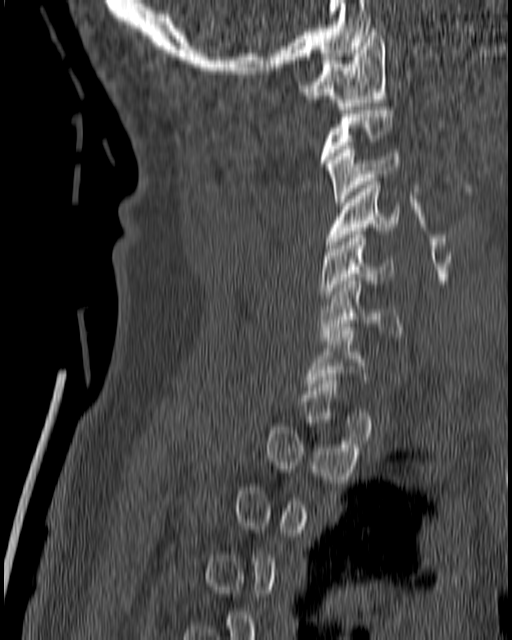 Spine computed tomography; sagittal view; Bone window (WL 400, WW 1800)

Coordinates as <box>x1,y1,x2,y2</box>.
Each vertebra is boxed only on the slices from the first to the last where its cross-section reaches a third of its largest, so a slice outside that range leaves it unboxed.
Vertebra bounding boxes:
- C7: <box>305,324,367,390</box>
- C6: <box>319,277,402,340</box>
- C5: <box>319,235,393,301</box>
- C4: <box>325,178,400,248</box>
- C3: <box>325,146,398,205</box>
- C1: <box>298,28,387,109</box>